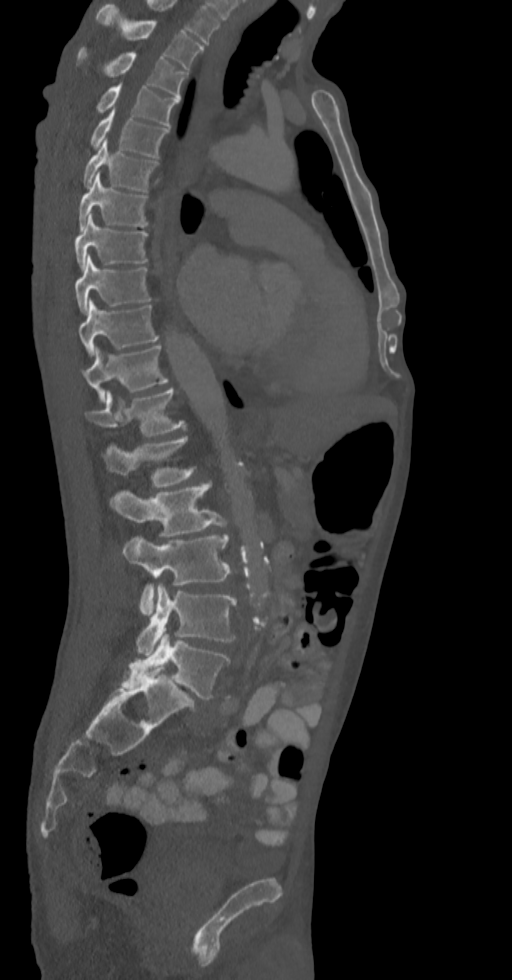 CT spine · sagittal view · bone window. Boxes: x1:y1:x2:y2 in pixels. 16 vertebrae labeled — T2 at 96:3:203:69; T3 at 76:47:185:98; T4 at 96:84:179:125; T5 at 90:110:168:157; T6 at 82:140:159:191; T7 at 79:172:148:231; T8 at 74:215:148:269; T9 at 74:254:151:314; T10 at 79:299:159:357; T11 at 85:344:169:403; T12 at 85:389:186:436; L1 at 100:436:195:487; L2 at 109:482:230:537; L3 at 123:535:232:616; L4 at 135:584:236:656; L5 at 121:634:230:698.